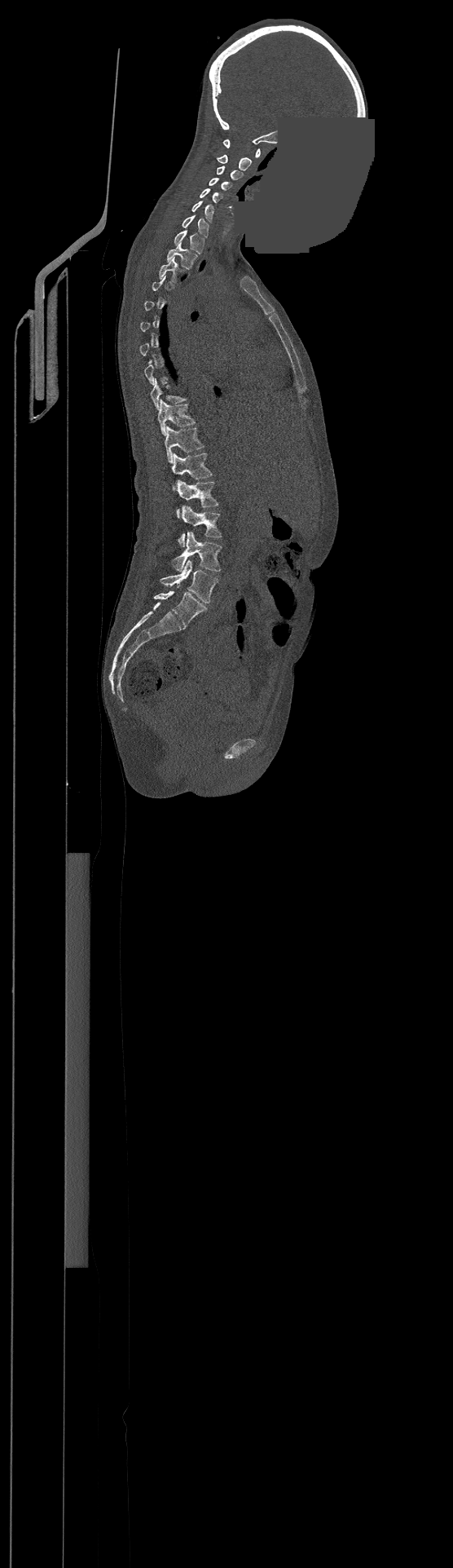

Spine CT · sagittal reformat · 453x1568 px · a uniform gray block covers part of the image
Columns x1, y1, x2, y2 give each box's top-left and bottom-right pixels.
A vertebra is boxed only from the first to the last slice where its cross-section is at least a third of its largest; slices outside that range leave it without a box.
In this scan, the topmost labeled vertebra is C1 and the lowest is L4.
| vertebra | x1 | y1 | x2 | y2 |
|---|---|---|---|---|
| L4 | 160 | 559 | 218 | 603 |
| L3 | 172 | 532 | 221 | 571 |
| L2 | 178 | 506 | 221 | 546 |
| L1 | 177 | 481 | 218 | 507 |
| T12 | 172 | 453 | 211 | 489 |
| T11 | 164 | 426 | 203 | 462 |
| T10 | 157 | 400 | 195 | 435 |
| T9 | 150 | 379 | 186 | 409 |
| T3 | 159 | 258 | 178 | 281 |
| T2 | 166 | 242 | 196 | 269 |
| T1 | 174 | 229 | 204 | 254 |
| C7 | 183 | 214 | 209 | 236 |
| C6 | 191 | 201 | 214 | 222 |
| C5 | 200 | 188 | 222 | 203 |
| C4 | 209 | 179 | 231 | 190 |
| C3 | 217 | 166 | 243 | 179 |
| C2 | 218 | 155 | 251 | 170 |
| C1 | 222 | 139 | 260 | 157 |